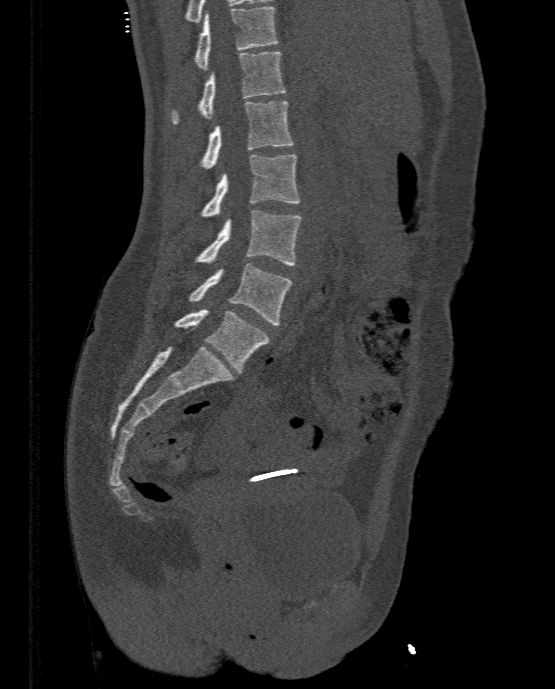 CT, spine; sagittal view; bone-window reconstruction
Boxes are (x1, y1, x2, y2) in pixels.
Vertebra bounding boxes:
- L5: (175, 309, 269, 373)
- L4: (189, 263, 292, 325)
- L3: (196, 210, 300, 265)
- L2: (202, 154, 300, 216)
- L1: (202, 101, 294, 168)
- T12: (171, 51, 285, 124)
- T11: (195, 6, 278, 69)